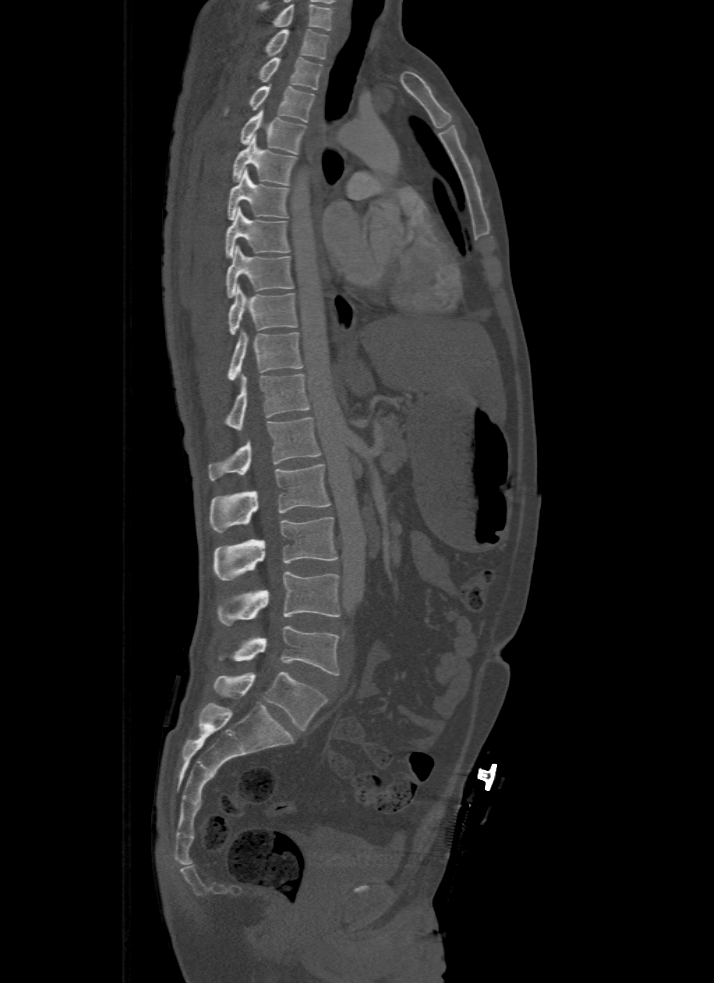 CT, spine; sagittal view; 714x983 px
Boxes below are [x1, y1, x2, y2] in pixels.
Labels in this scan begin with T1 at the top and end with L5 at the bottom.
{"vertebrae":{"T1":[265,29,330,59],"T2":[258,57,321,89],"T3":[226,85,313,121],"T4":[240,109,305,154],"T5":[233,135,296,185],"T6":[227,168,288,219],"T7":[226,206,289,257],"T8":[226,245,293,297],"T9":[229,285,296,334],"T10":[227,328,303,381],"T11":[226,373,310,429],"T12":[208,418,320,479],"L1":[208,463,331,532],"L2":[213,518,338,581],"L3":[218,572,341,625],"L4":[219,626,339,675],"L5":[213,672,328,729]}}